Spine computed tomography; Sagittal slice 274/512; Bone window (WL 400, WW 1800); 512x506 px
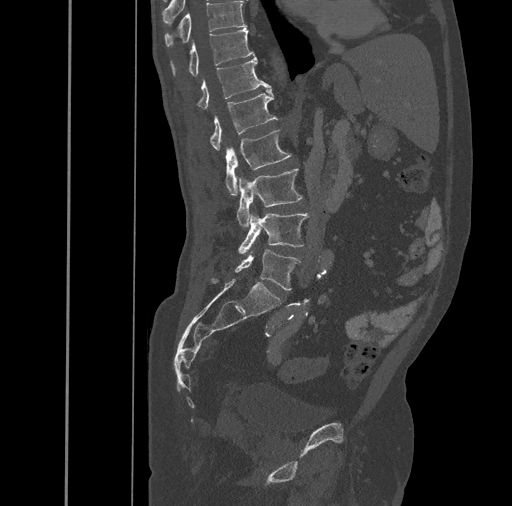

Boxes: x1:y1:x2:y2 in pixels.
Vertebra bounding boxes:
- T10: 164:1:246:47
- T11: 170:28:254:76
- T12: 196:57:270:108
- L1: 209:89:278:150
- L2: 226:129:290:195
- L3: 236:168:303:226
- L4: 237:213:308:253
- L5: 235:249:301:290